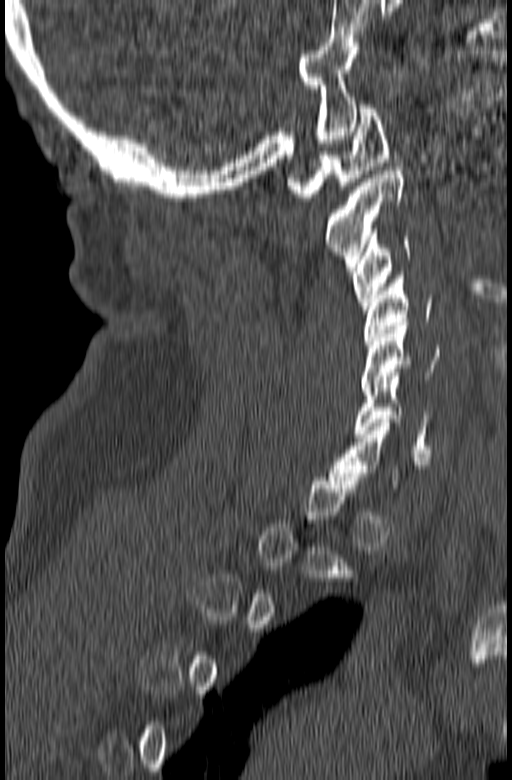 Spine computed tomography · sagittal reformat · 512x780 px
Box values are [left, top, right, bottom] in pixels.
A vertebra is boxed only from the first to the last slice where its cross-section is at least a third of its largest; slices outside that range leave it without a box.
{"vertebrae":{"C6":[355,376,432,453],"C5":[361,322,442,391],"C4":[364,272,431,344],"C3":[352,225,411,313],"C2":[324,167,404,271],"C1":[287,105,388,201]}}